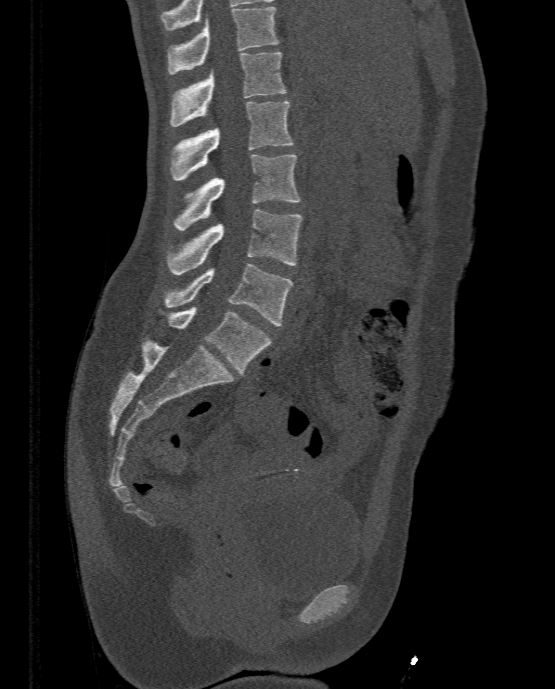
CT, spine; sagittal reformat; 555x689 px; the image spans 333 mm across. Each row gives a vertebra's box as x1, y1, x2, y2 in pixels: top-left corner, then bottom-right corner.
| vertebra | x1 | y1 | x2 | y2 |
|---|---|---|---|---|
| T11 | 166 | 6 | 279 | 74 |
| T12 | 169 | 51 | 285 | 126 |
| L1 | 170 | 101 | 294 | 180 |
| L2 | 173 | 154 | 300 | 230 |
| L3 | 166 | 210 | 303 | 274 |
| L4 | 164 | 263 | 293 | 325 |
| L5 | 160 | 306 | 272 | 375 |